Computed tomography of the spine · sagittal view · 246x593 px · 17 vertebrae labeled in this scan
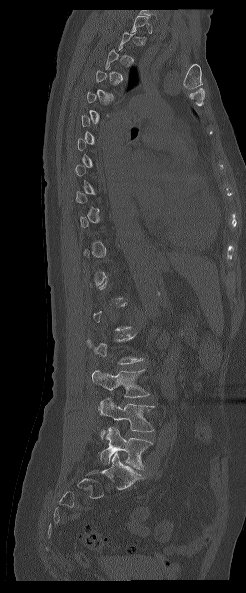
Boxes are (x1, y1, x2, y2) in pixels.
Not every vertebra on this slice has a box: a vertebra is boxed only from the first to the last slice where its cross-section is at least a third of its largest, and this slice is outside that range for at least one of them.
Vertebra bounding boxes:
- L3: (92, 369, 149, 397)
- L4: (98, 398, 154, 439)
- L5: (99, 427, 152, 469)